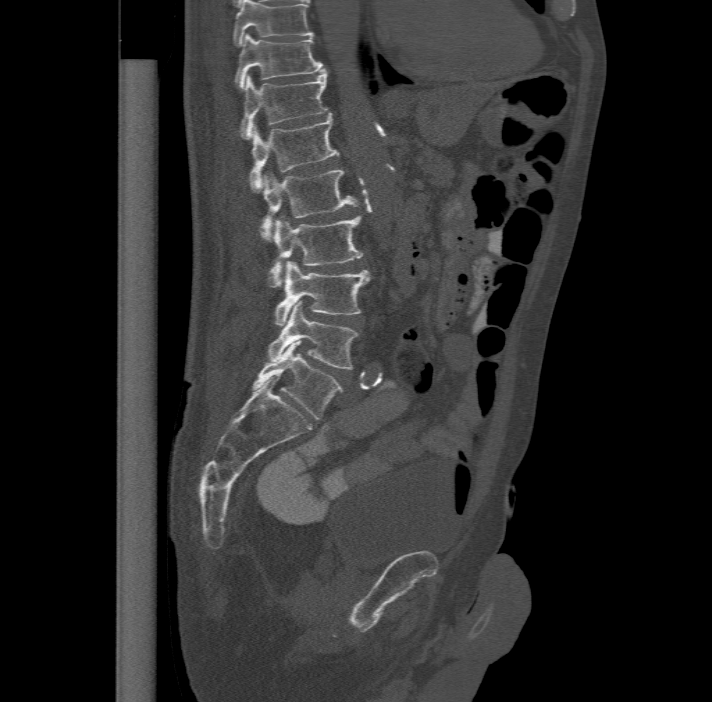

CT spine · sagittal view · image 477 mm wide
Boxes: x1 y1 x2 y2 (pixel coords, space-separated).
Labels in this scan begin with T11 at the top and end with L6 at the bottom.
The labels name a sixth lumbar vertebra for this spine: L6, after L5.
T11: 234 33 323 88
T12: 241 70 329 138
L1: 249 112 340 190
L2: 261 168 359 241
L3: 268 215 363 287
L4: 274 259 370 325
L5: 267 301 359 368
L6: 252 340 342 419